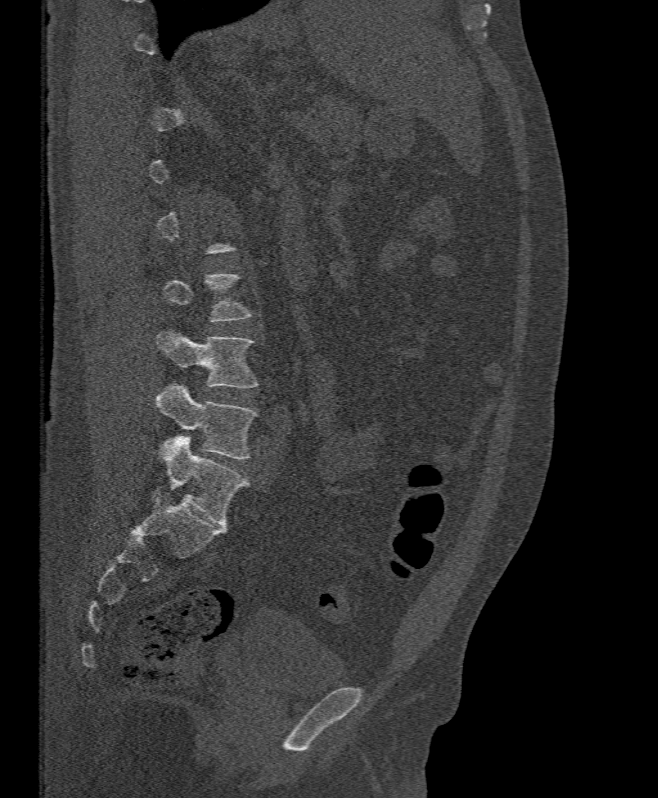
CT spine; sagittal view; 658x798 px

Boxes below are [x1, y1, x2, y2] in pixels.
Each vertebra is boxed only on the slices from the first to the last where its cross-section reaches a third of its largest, so a slice outside that range leaves it unboxed.
{"vertebrae":{"L4":[157,330,257,387],"L5":[157,383,257,459]}}